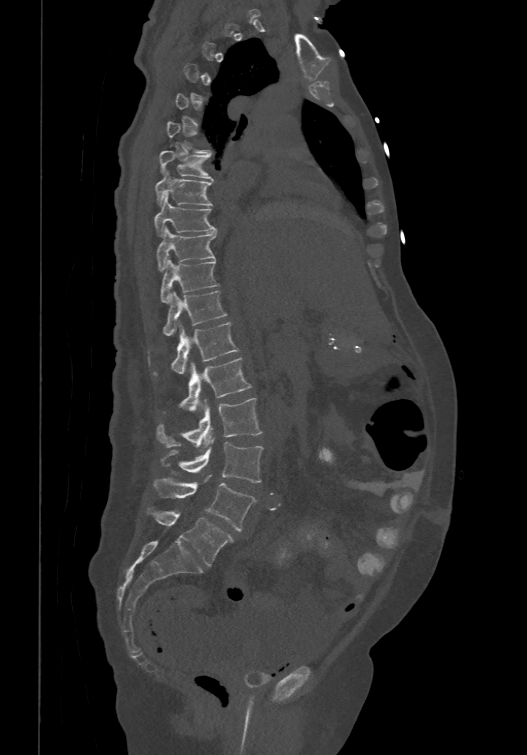

Spine computed tomography — sagittal view — bone-window reconstruction
Each box given as x1,y1,x2,y2.
Not every vertebra on this slice has a box: a vertebra is boxed only from the first to the last slice where its cross-section is at least a third of its largest, and this slice is outside that range for at least one of them.
The labels name a sixth lumbar vertebra for this spine: L6, after L5.
| vertebra | x1 | y1 | x2 | y2 |
|---|---|---|---|---|
| T7 | 158 | 150 | 212 | 179 |
| T8 | 155 | 170 | 212 | 204 |
| T9 | 154 | 194 | 217 | 234 |
| T10 | 156 | 225 | 217 | 270 |
| T11 | 160 | 257 | 219 | 303 |
| T12 | 164 | 290 | 226 | 334 |
| L1 | 153 | 321 | 239 | 374 |
| L2 | 179 | 356 | 251 | 411 |
| L3 | 156 | 397 | 262 | 447 |
| L4 | 161 | 437 | 262 | 482 |
| L5 | 153 | 475 | 255 | 531 |
| L6 | 148 | 509 | 234 | 565 |